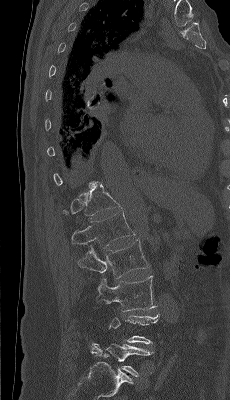
CT, spine · sagittal view · bone window · 230x400 px
Boxes: x1 y1 x2 y2 (pixel coords, space-separated).
Not every vertebra on this slice has a box: a vertebra is boxed only from the first to the last slice where its cross-section is at least a third of its largest, and this slice is outside that range for at least one of them.
L5: 91 343 153 376
L3: 96 276 155 311
L2: 78 239 149 278
L1: 71 210 134 248
T12: 62 184 121 217